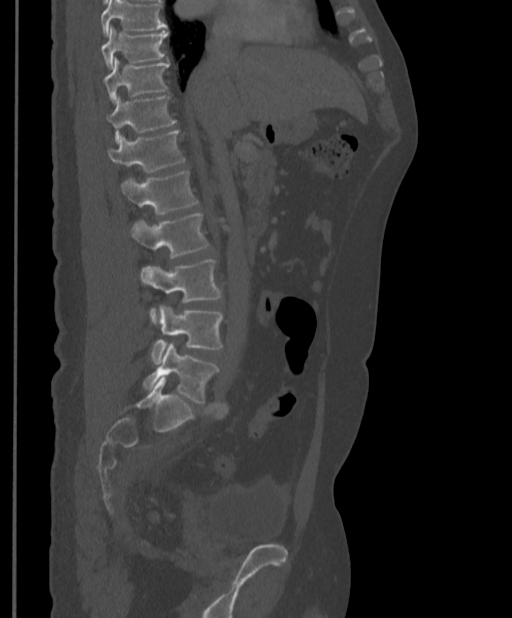

Spine CT. 397 mm image width. sagittal view. 512x618 px
Boxes: x1:y1:x2:y2 in pixels.
Where the top of the scan cuts through a vertebra, that vertebra gets no label or box.
T9: 100:27:168:67
T10: 103:58:169:101
T11: 106:95:176:141
T12: 108:130:185:172
L1: 120:172:197:214
L2: 130:213:209:257
L3: 139:259:221:321
L4: 151:306:222:364
L5: 143:343:218:403